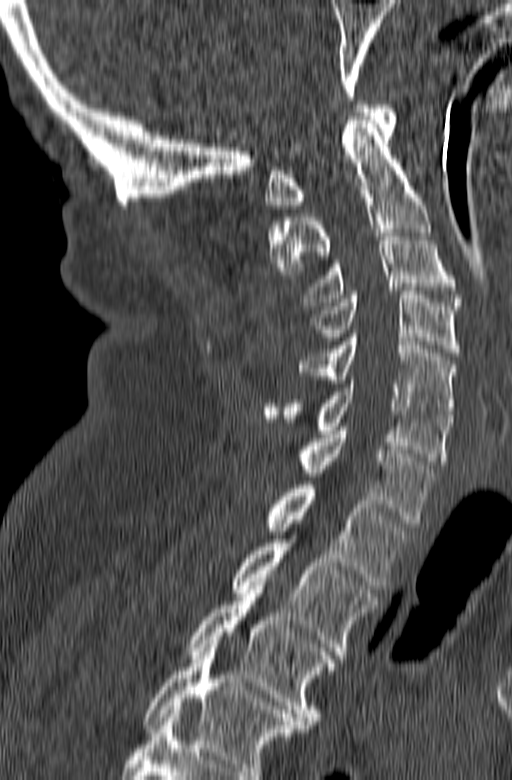
CT spine · sagittal view · bone-window reconstruction · 165 mm wide
Box edges are left/top/right/bottom in pixels. This scan's labels start at C1 at the top and end at T3 at the bottom. 10 vertebrae labeled — T3 at left=186, top=586, right=335, bottom=728; T2 at left=233, top=539, right=379, bottom=658; T1 at left=264, top=481, right=411, bottom=589; C7 at left=299, top=427, right=435, bottom=527; C6 at left=262, top=380, right=452, bottom=464; C5 at left=299, top=334, right=456, bottom=418; C4 at left=308, top=291, right=460, bottom=356; C3 at left=302, top=229, right=464, bottom=309; C2 at left=267, top=116, right=431, bottom=278; C1 at left=265, top=105, right=397, bottom=208.